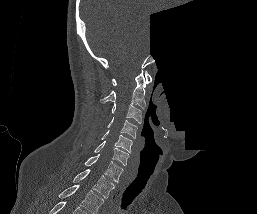 CT spine; image width 257 mm; sagittal view; bone window; part of the image has been replaced by a constant value. Bounding boxes as [x1, y1, x2, y2] in pixel coordinates.
In this scan, the topmost labeled vertebra is C1 and the lowest is T1.
Vertebra bounding boxes:
- C1: [112, 71, 151, 85]
- C2: [101, 70, 148, 109]
- C3: [111, 103, 141, 123]
- C4: [107, 117, 137, 138]
- C5: [101, 130, 132, 153]
- C6: [81, 141, 129, 165]
- C7: [84, 154, 123, 182]
- T1: [72, 169, 114, 197]